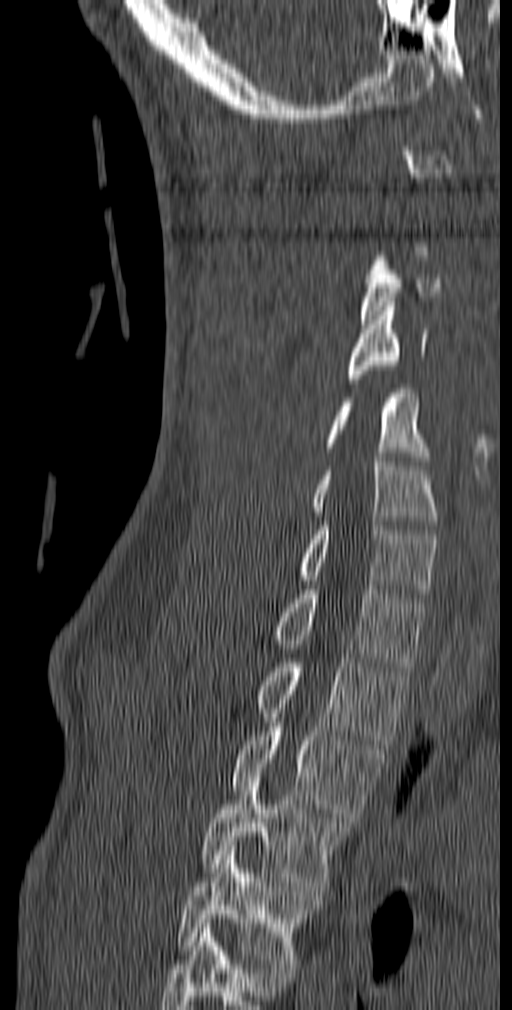

CT · sagittal view

Box edges are left/top/right/bottom in pixels.
A vertebra is boxed only from the first to the last slice where its cross-section is at least a third of its largest; slices outside that range leave it without a box.
In this scan, the topmost labeled vertebra is C1 and the lowest is T5.
| vertebra | x1 | y1 | x2 | y2 |
|---|---|---|---|---|
| T5 | 176 | 846 | 319 | 968 |
| T4 | 201 | 773 | 350 | 890 |
| T3 | 232 | 727 | 384 | 822 |
| T2 | 257 | 654 | 411 | 744 |
| T1 | 273 | 585 | 426 | 671 |
| C7 | 298 | 521 | 438 | 598 |
| C6 | 311 | 453 | 436 | 529 |
| C5 | 327 | 389 | 429 | 465 |
| C4 | 348 | 302 | 428 | 383 |
| C3 | 360 | 256 | 442 | 324 |